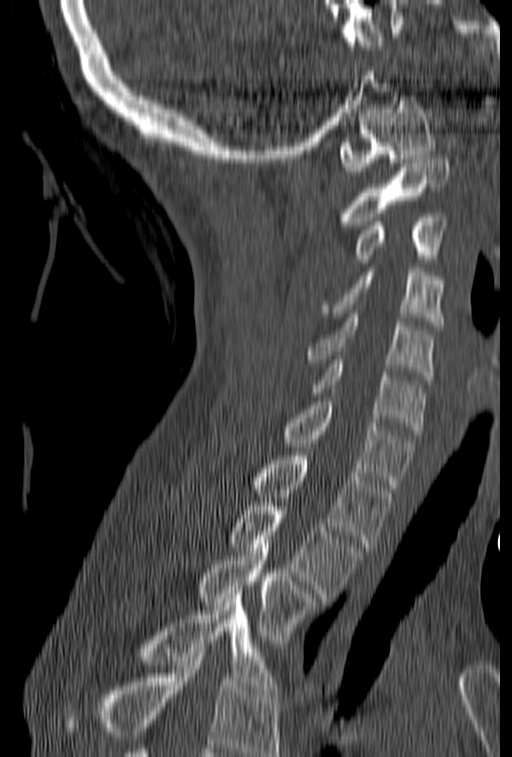

Computed tomography of the spine — sagittal view — 512x757 px — the image spans 153 mm across
Boxes: x1:y1:x2:y2 in pixels.
A vertebra cut off by the bottom edge of the scan is not labeled and has no box.
C1: 339:96:435:175
C2: 343:155:449:225
C3: 356:213:446:263
C4: 322:268:445:329
C5: 307:314:433:380
C6: 308:360:425:434
C7: 283:397:415:488
T1: 252:452:392:547
T2: 227:502:362:597
T3: 202:540:318:643
T4: 142:590:278:693